Spine computed tomography — sagittal reformat — 350x292 px
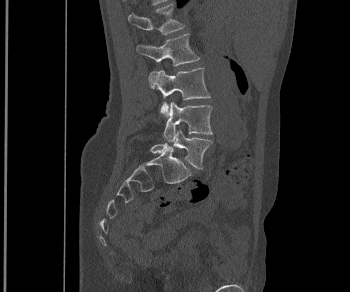
Columns x1, y1, x2, y2 give each box's top-left and bottom-right pixels.
| vertebra | x1 | y1 | x2 | y2 |
|---|---|---|---|---|
| L1 | 128 | 3 | 184 | 34 |
| L2 | 136 | 33 | 199 | 66 |
| L3 | 149 | 68 | 210 | 117 |
| L4 | 163 | 101 | 212 | 141 |
| L5 | 150 | 130 | 212 | 169 |